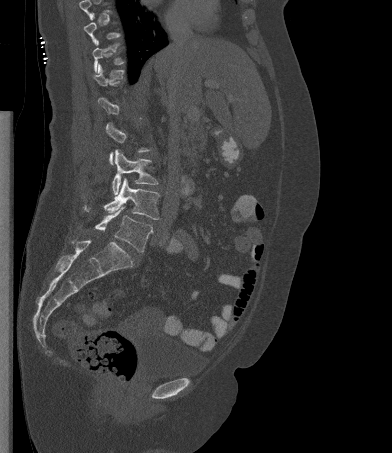
Spine CT. sagittal view. bone window

Coordinates as <box>x1,y1,x2,y2</box>.
Each vertebra is boxed only on the slices from the first to the last where its cross-section reaches a third of its largest, so a slice outside that range leaves it unboxed.
Vertebra bounding boxes:
- L3: <box>112,149,158,194</box>
- L4: <box>84,178,159,219</box>
- L5: <box>95,206,152,252</box>